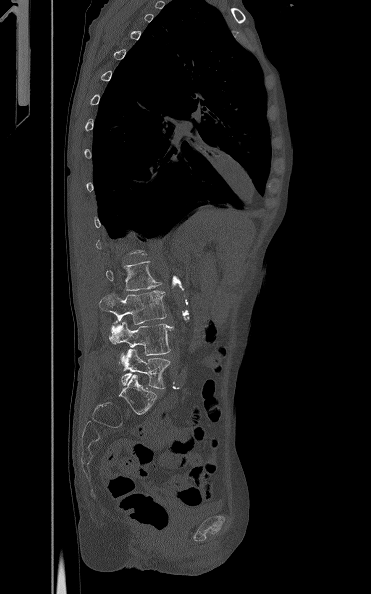
CT spine · sagittal view · 371x594 px
A vertebra is boxed only from the first to the last slice where its cross-section is at least a third of its largest; slices outside that range leave it without a box.
<vertebrae><v name="L2" x1="105" y1="261" x2="161" y2="290"/><v name="L3" x1="99" y1="290" x2="166" y2="324"/><v name="L4" x1="109" y1="321" x2="173" y2="355"/><v name="L5" x1="121" y1="349" x2="170" y2="389"/></vertebrae>